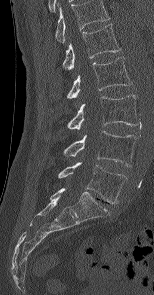
Spine CT. sagittal view. bone window
Bounding boxes as [x1, y1, x2, y2] in pixel coordinates. The highest labeled vertebra in this scan is L1; the lowest is L5. 5 vertebrae labeled — L1 at [62, 24, 121, 69]; L2 at [67, 57, 132, 98]; L3 at [67, 95, 137, 129]; L4 at [63, 131, 135, 166]; L5 at [58, 162, 127, 203].